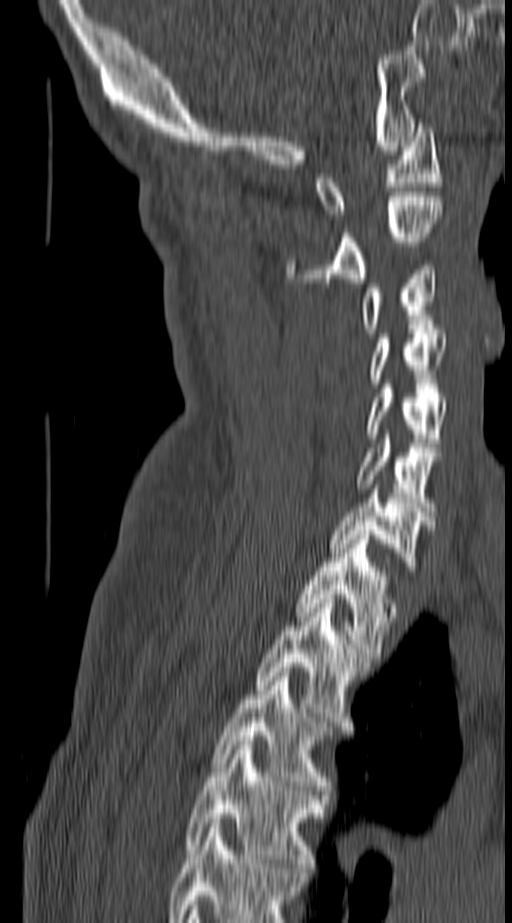
Computed tomography of the spine. sagittal view
In the table, x1 and y1 are a box's top-left corner and x2 and y2 its bottom-right corner, in pixels.
The highest labeled vertebra in this scan is C1; the lowest is T4.
| vertebra | x1 | y1 | x2 | y2 |
|---|---|---|---|---|
| C1 | 316 | 123 | 441 | 218 |
| C2 | 287 | 197 | 443 | 282 |
| C3 | 360 | 261 | 436 | 333 |
| C4 | 371 | 329 | 447 | 383 |
| C5 | 367 | 384 | 447 | 447 |
| C6 | 356 | 434 | 441 | 511 |
| C7 | 330 | 485 | 432 | 566 |
| T1 | 297 | 535 | 393 | 657 |
| T2 | 257 | 599 | 370 | 726 |
| T3 | 213 | 672 | 329 | 790 |
| T4 | 184 | 741 | 322 | 872 |